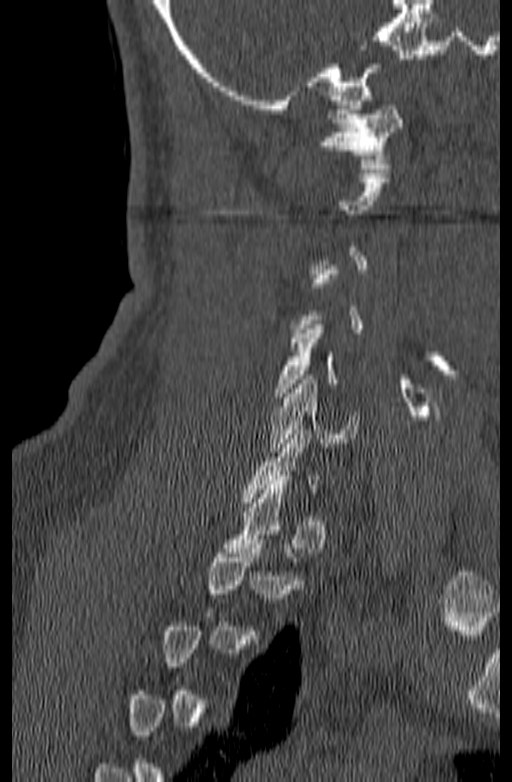 Spine CT — the image spans 140 mm across — sagittal view — W/L 1800/400 HU
Boxes: x1 y1 x2 y2 (pixel coords, space-separated).
A vertebra is boxed only from the first to the last slice where its cross-section is at least a third of its largest; slices outside that range leave it without a box.
C6: 268 375 359 452
C5: 276 325 338 397
C1: 319 105 403 168